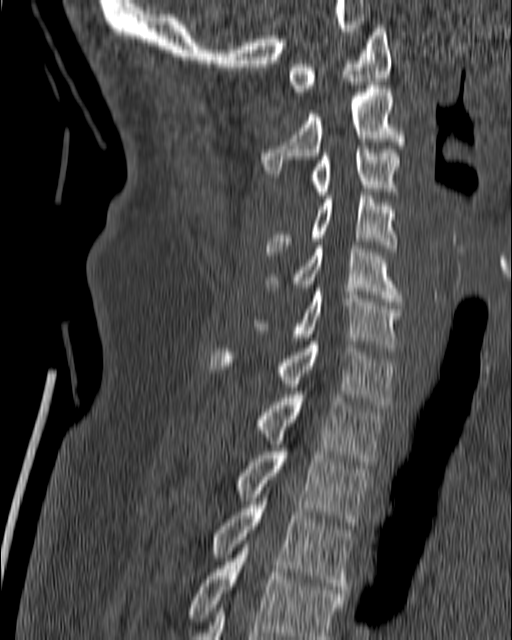
CT — sagittal reformat — bone-window reconstruction — 512x640 px
Bounding boxes as [x1, y1, x2, y2] in pixel coordinates.
C1: [288, 25, 391, 91]
C2: [262, 85, 405, 177]
C3: [311, 146, 398, 195]
C4: [265, 192, 396, 255]
C5: [268, 245, 401, 305]
C6: [254, 288, 401, 351]
C7: [211, 341, 395, 408]
T1: [257, 395, 384, 461]
T2: [237, 448, 370, 529]
T3: [211, 498, 353, 593]
T4: [187, 544, 344, 639]